CT, spine; sagittal view; W/L 1800/400 HU; scan covers 13 annotated vertebrae
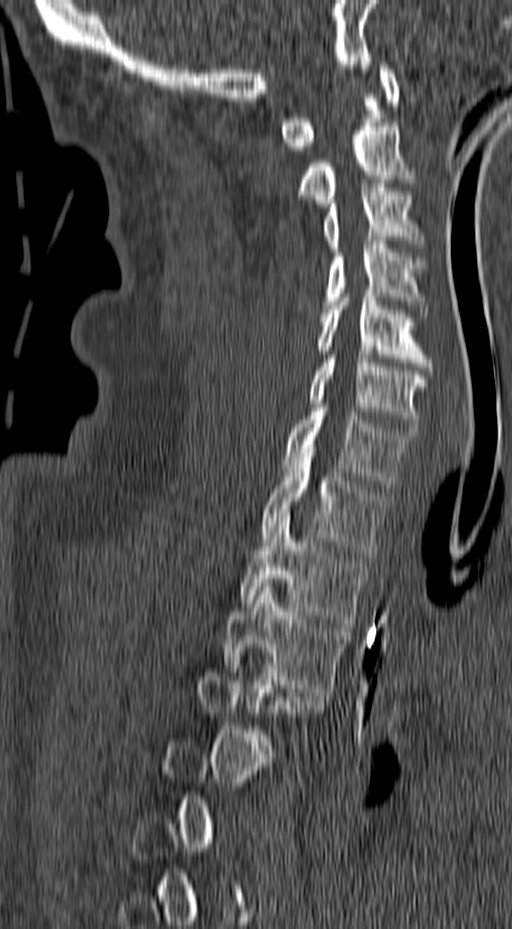 Box edges are left/top/right/bottom in pixels.
Each vertebra is boxed only on the slices from the first to the last where its cross-section reaches a third of its largest, so a slice outside that range leaves it unboxed.
| vertebra | x1 | y1 | x2 | y2 |
|---|---|---|---|---|
| C1 | 279 | 65 | 399 | 150 |
| C2 | 298 | 122 | 414 | 207 |
| C3 | 324 | 183 | 424 | 252 |
| C4 | 321 | 241 | 428 | 317 |
| C5 | 317 | 294 | 433 | 374 |
| C6 | 308 | 355 | 428 | 431 |
| C7 | 283 | 404 | 414 | 488 |
| T1 | 261 | 448 | 385 | 557 |
| T2 | 239 | 514 | 365 | 627 |
| T3 | 223 | 583 | 349 | 696 |